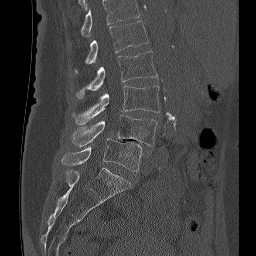

CT, spine. sagittal view

Coordinates as <box>x1,y1,x2,y2</box>.
In this scan, the topmost labeled vertebra is L1 and the lowest is L5.
L5: <box>61,138,142,171</box>
L4: <box>71,115,156,146</box>
L3: <box>72,85,160,124</box>
L2: <box>75,51,157,97</box>
L1: <box>74,21,148,72</box>